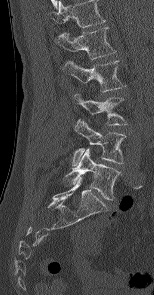

Spine CT — sagittal view

Each box is [x1, y1, x2, y2] in pixels: top-left corner, then bottom-right corner.
The highest labeled vertebra in this scan is L1; the lowest is L5.
{"vertebrae":{"L1":[56,27,115,59],"L2":[63,60,123,91],"L3":[73,94,126,125],"L4":[72,119,125,165],"L5":[64,148,120,199]}}